CT. Sagittal slice 86/250. W/L 1800/400 HU. 250x671 px. scan covers 19 annotated vertebrae
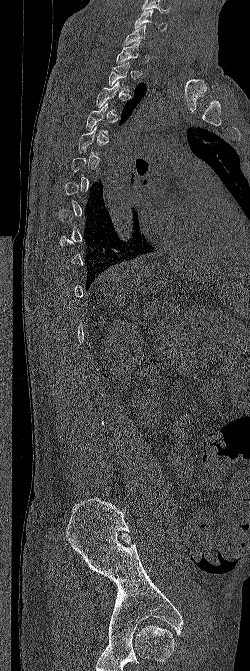
Box edges are left/top/right/bottom in pixels.
A vertebra is boxed only from the first to the last slice where its cross-section is at least a third of its largest; slices outside that range leave it without a box.
C6: left=134, top=9, right=167, bottom=31
C7: left=124, top=24, right=153, bottom=46
T1: left=115, top=40, right=140, bottom=64